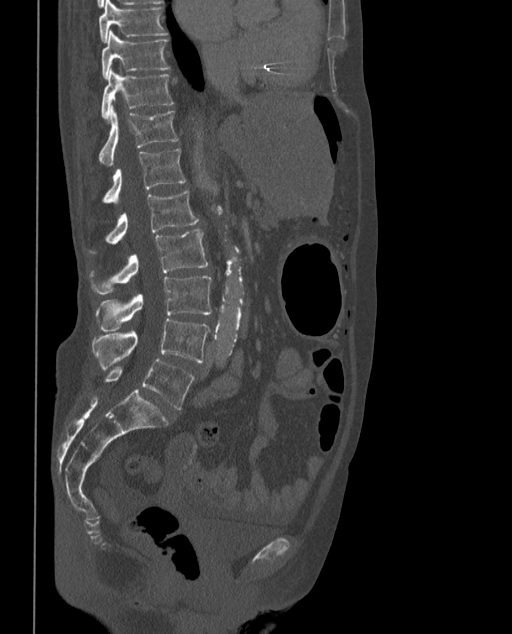

CT. sagittal view
Boxes: x1 y1 x2 y2 (pixel coords, space-separated).
In these labels the spine has an L6, a sixth lumbar vertebra below L5.
T9: 99 0 168 42
T10: 101 31 169 78
T11: 100 68 173 120
T12: 99 106 179 165
L1: 101 148 185 203
L2: 89 190 198 253
L3: 89 229 207 294
L4: 95 275 212 331
L5: 92 319 209 371
L6: 103 359 194 409